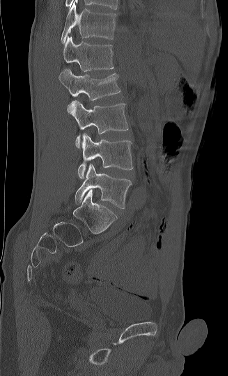

Spine computed tomography; sagittal view

Boxes are (x1, y1, x2, y2) in pixels.
In this scan, the topmost labeled vertebra is L1 and the lowest is L5.
Vertebra bounding boxes:
- L5: (75, 163, 131, 208)
- L4: (78, 133, 133, 179)
- L3: (67, 100, 128, 147)
- L2: (58, 68, 120, 101)
- L1: (63, 36, 113, 71)